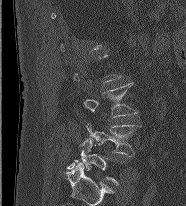
CT. sagittal view. 186x206 px
Not every vertebra on this slice has a box: a vertebra is boxed only from the first to the last slice where its cross-section is at least a third of its largest, and this slice is outside that range for at least one of them.
<vertebrae><v name="L5" x1="67" y1="138" x2="117" y2="184"/><v name="L4" x1="86" y1="123" x2="141" y2="156"/><v name="L3" x1="84" y1="82" x2="137" y2="117"/></vertebrae>